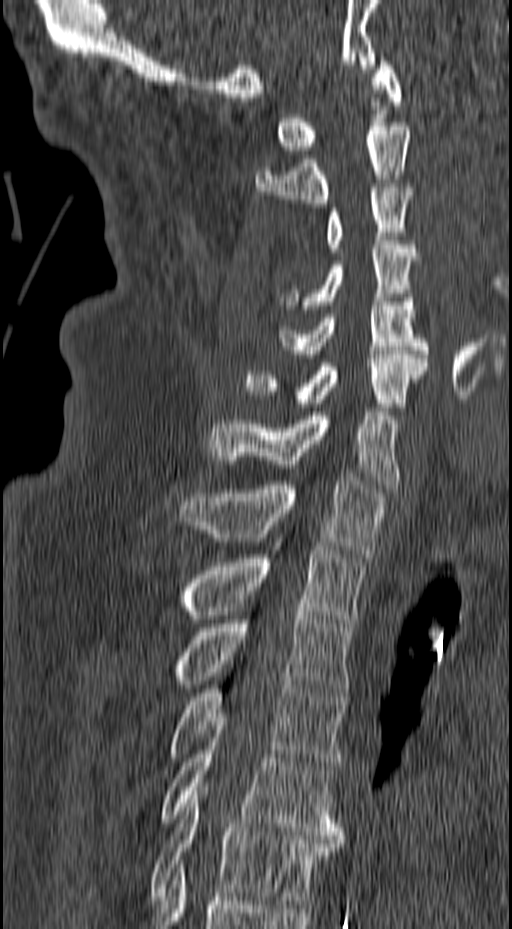 CT, spine · sagittal view · 512x929 px

Coordinates as <box>x1,y1,x2,y2</box>.
T6: <box>149,787,343,904</box>
T5: <box>159,726,343,839</box>
T4: <box>167,677,346,769</box>
T3: <box>174,607,352,692</box>
T2: <box>180,546,365,627</box>
T1: <box>179,477,385,557</box>
C7: <box>207,412,399,488</box>
C6: <box>244,351,428,411</box>
C5: <box>276,294,428,358</box>
C4: <box>278,241,419,309</box>
C3: <box>327,188,414,252</box>
C2: <box>255,122,411,207</box>
C1: <box>276,53,402,154</box>